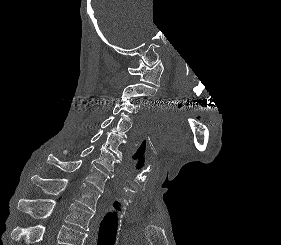
CT spine — sagittal view — part of the image is constant black where the scan was masked
Bounding boxes as [x1, y1, x2, y2] in pixel coordinates.
Vertebrae that run past the bottom of the scan are left unlabeled.
Vertebra bounding boxes:
- C1: [127, 59, 163, 88]
- C2: [121, 83, 157, 100]
- C3: [112, 100, 140, 114]
- C4: [101, 112, 132, 137]
- C5: [91, 129, 126, 160]
- C6: [63, 145, 120, 177]
- C7: [46, 153, 109, 192]
- T1: [31, 175, 100, 212]
- T2: [17, 199, 93, 230]